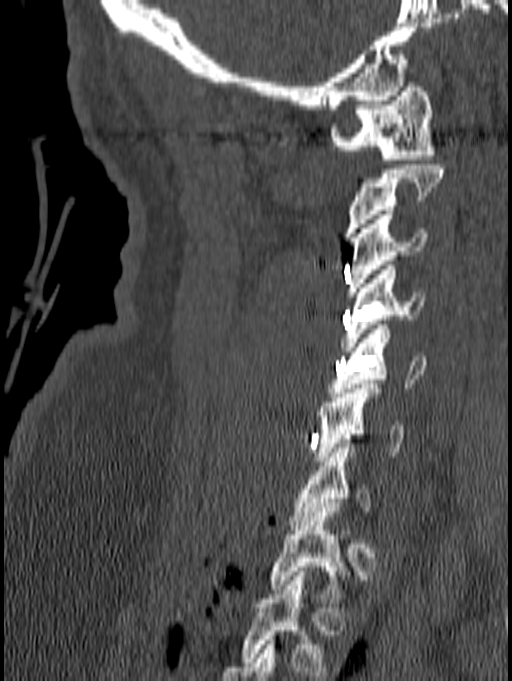
Spine computed tomography — sagittal view — image width 140 mm — Bone window (WL 400, WW 1800)
Each box is [x1, y1, x2, y2] in pixels: top-left corner, then bottom-right corner.
In this scan, the topmost labeled vertebra is C1 and the lowest is T1.
{"vertebrae":{"T1":[269,507,346,598],"C7":[290,443,371,525],"C6":[316,384,403,465],"C5":[329,325,427,397],"C4":[341,265,425,351],"C3":[347,210,428,296],"C2":[343,165,443,237],"C1":[330,82,435,164]}}